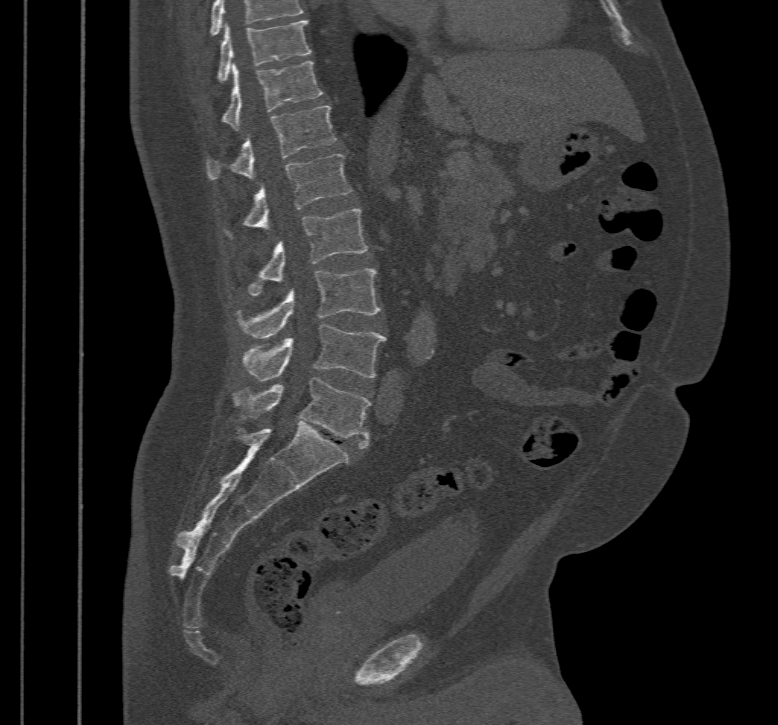

Spine CT; sagittal view; bone window

Boxes are given in columns x1, y1, x2, y2, the pixel coordinates of their top-left and bottom-right corners.
In this scan, the topmost labeled vertebra is T10 and the lowest is L5.
| vertebra | x1 | y1 | x2 | y2 |
|---|---|---|---|---|
| T10 | 219 | 20 | 311 | 81 |
| T11 | 222 | 60 | 323 | 129 |
| T12 | 207 | 105 | 335 | 179 |
| L1 | 245 | 153 | 350 | 231 |
| L2 | 249 | 209 | 367 | 294 |
| L3 | 240 | 268 | 381 | 338 |
| L4 | 243 | 324 | 385 | 380 |
| L5 | 236 | 377 | 370 | 448 |